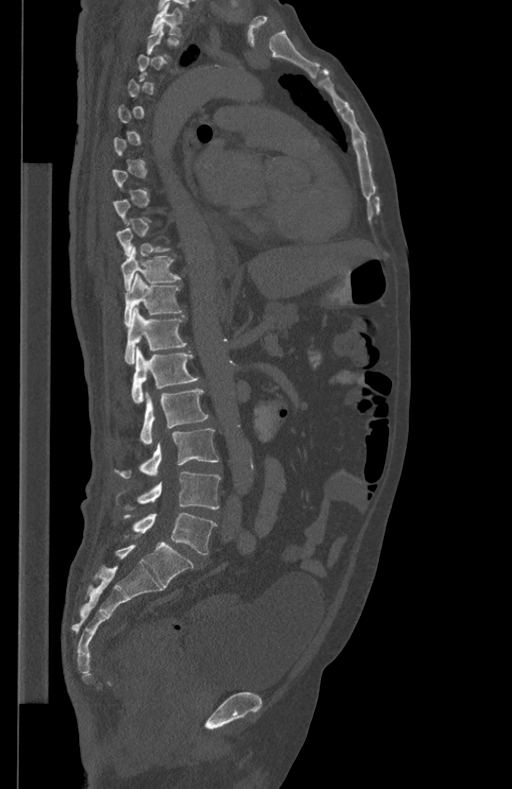 CT — sagittal view — 512x789 px
Box values are [left, top, right, bottom] in pixels.
A vertebra is boxed only from the first to the last slice where its cross-section is at least a third of its largest; slices outside that range leave it without a box.
{"vertebrae":{"L5":[124,513,216,554],"L4":[118,471,221,510],"L3":[116,428,218,478],"L2":[140,389,208,445],"L1":[131,346,198,404],"T12":[125,307,186,364],"T11":[124,273,183,327],"T10":[121,246,181,291],"T1":[151,3,182,35]}}